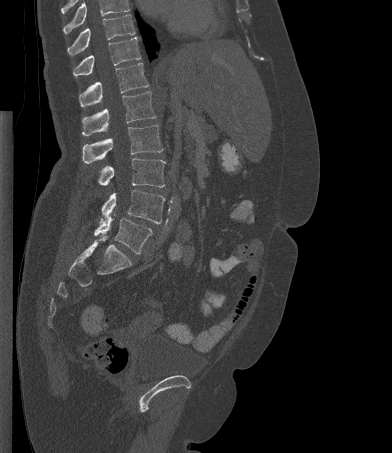 CT · sagittal view · bone-window reconstruction
Boxes: x1:y1:x2:y2 in pixels.
Where the top of the scan cuts through a vertebra, that vertebra gets no label or box.
L5: 94:218:152:254
L4: 101:190:165:223
L3: 98:158:165:187
L2: 82:125:163:163
L1: 82:91:156:136
T12: 79:63:149:107
T11: 73:37:141:78
T10: 67:14:135:55